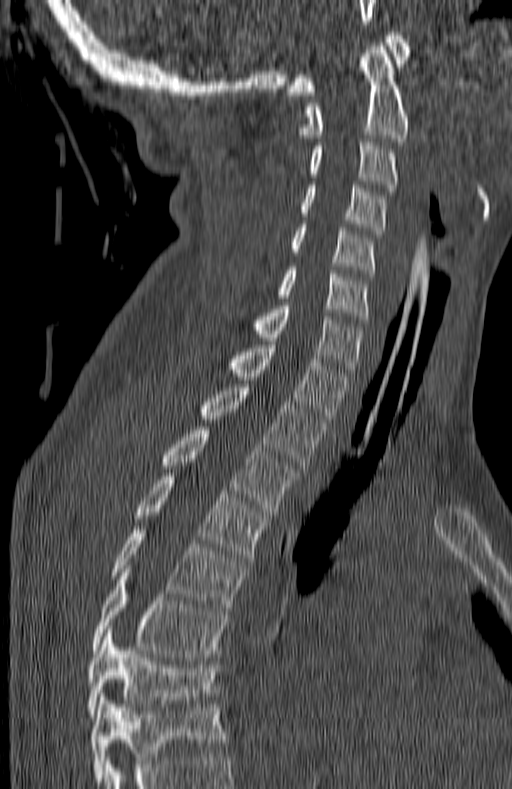 CT spine. sagittal view. W/L 1800/400 HU. 512x789 px
This scan's labels start at C1 at the top and end at T7 at the bottom.
<vertebrae><v name="C1" x1="287" y1="32" x2="409" y2="95"/><v name="C2" x1="300" y1="43" x2="410" y2="141"/><v name="C3" x1="308" y1="142" x2="398" y2="195"/><v name="C4" x1="300" y1="185" x2="387" y2="237"/><v name="C5" x1="291" y1="224" x2="375" y2="276"/><v name="C6" x1="277" y1="267" x2="370" y2="323"/><v name="C7" x1="254" y1="302" x2="364" y2="376"/><v name="T1" x1="228" y1="341" x2="349" y2="422"/><v name="T2" x1="200" y1="384" x2="324" y2="468"/><v name="T3" x1="160" y1="427" x2="296" y2="511"/><v name="T4" x1="135" y1="473" x2="267" y2="561"/><v name="T5" x1="112" y1="526" x2="247" y2="611"/><v name="T6" x1="92" y1="569" x2="227" y2="657"/><v name="T7" x1="86" y1="629" x2="219" y2="717"/></vertebrae>